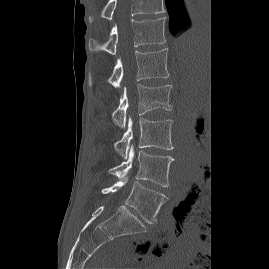 Computed tomography of the spine · sagittal view · 269x269 px
Boxes: x1 y1 x2 y2 (pixel coords, space-separated). This scan's labels start at T12 at the top and end at L5 at the bottom. Vertebrae labeled: T12 at 88 17 166 54, L1 at 88 48 169 88, L2 at 112 84 172 127, L3 at 113 116 173 158, L4 at 109 144 174 186, L5 at 101 177 167 223.